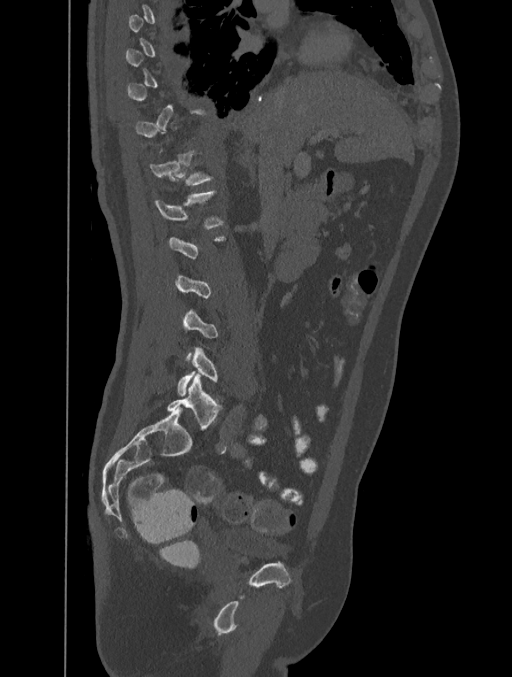

CT spine. the image is 401 mm wide. sagittal reformat
Each box given as x1,y1,x2,y2.
Each vertebra is boxed only on the slices from the first to the last where its cross-section reaches a third of its largest, so a slice outside that range leaves it unboxed.
T12: x1=149, y1=152, x2=211, y2=185
L1: x1=156, y1=191, x2=222, y2=228
L5: x1=177, y1=347, x2=217, y2=395